CT, spine · Sagittal slice 232/427 · Bone window (WL 400, WW 1800) · 9 vertebrae labeled in this scan
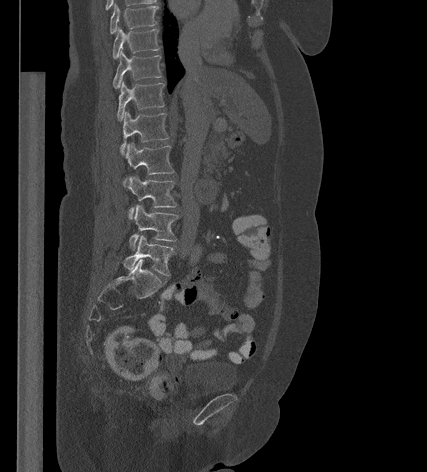

<vertebrae><v name="L5" x1="123" y1="235" x2="174" y2="275"/><v name="L4" x1="129" y1="205" x2="178" y2="248"/><v name="L3" x1="126" y1="176" x2="176" y2="217"/><v name="L2" x1="123" y1="143" x2="173" y2="184"/><v name="L1" x1="121" y1="111" x2="169" y2="153"/><v name="T12" x1="117" y1="80" x2="164" y2="120"/><v name="T11" x1="113" y1="50" x2="161" y2="88"/><v name="T10" x1="113" y1="27" x2="159" y2="58"/><v name="T9" x1="110" y1="3" x2="157" y2="33"/></vertebrae>